Spine computed tomography — sagittal reformat — bone-window reconstruction — 380x640 px — 380 mm across the image
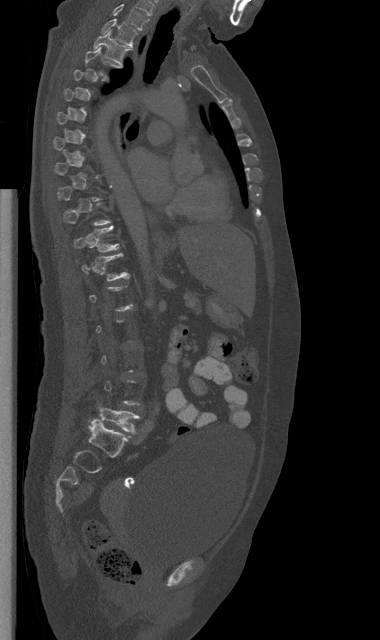

Each row gives a vertebra's box as x1, y1, x2, y2 in pixels: top-left corner, then bottom-right corner.
Not every vertebra on this slice has a box: a vertebra is boxed only from the first to the last slice where its cross-section is at least a third of its largest, and this slice is outside that range for at least one of them.
| vertebra | x1 | y1 | x2 | y2 |
|---|---|---|---|---|
| C7 | 112 | 4 | 148 | 30 |
| T1 | 102 | 19 | 136 | 46 |
| T2 | 93 | 31 | 132 | 65 |
| T11 | 74 | 225 | 118 | 251 |
| T12 | 81 | 253 | 129 | 280 |
| L5 | 97 | 404 | 139 | 433 |